Spine computed tomography. Sagittal slice 255/512
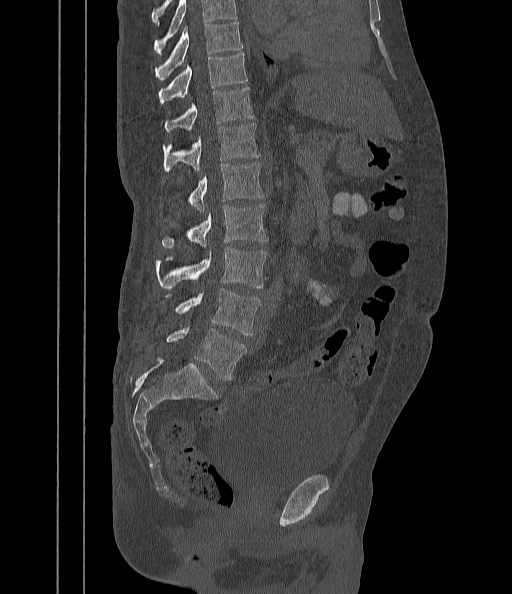
Each vertebra maps to its box as [x1, y1, x2, y2], the pixel coordinates of its top-left and bottom-right corners.
A vertebra cut off by the top edge of the scan is not labeled and has no box.
{"vertebrae":{"T9":[155,23,242,81],"T10":[159,54,247,103],"T11":[164,87,254,131],"T12":[163,123,260,171],"L1":[188,162,264,211],"L2":[162,205,268,247],"L3":[155,247,267,289],"L4":[167,288,261,334],"L5":[166,327,246,380]}}